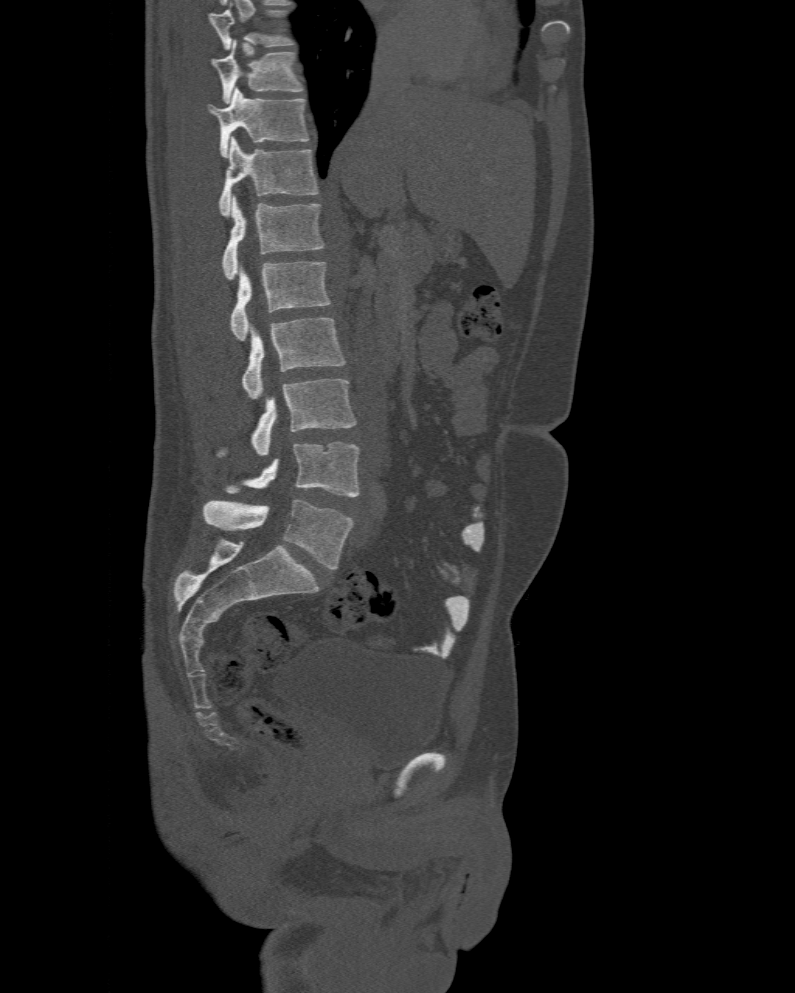
Computed tomography of the spine — sagittal view — image width 477 mm — W/L 1800/400 HU — 795x993 px
Labels in this scan begin with T10 at the top and end with L6 at the bottom.
These labels give the spine a sixth lumbar vertebra, L6, below L5.
<vertebrae><v name="T10" x1="211" y1="40" x2="302" y2="102"/><v name="T11" x1="207" y1="87" x2="310" y2="157"/><v name="T12" x1="217" y1="137" x2="319" y2="217"/><v name="L1" x1="222" y1="195" x2="324" y2="280"/><v name="L2" x1="230" y1="262" x2="331" y2="340"/><v name="L3" x1="242" y1="317" x2="345" y2="399"/><v name="L4" x1="252" y1="378" x2="356" y2="456"/><v name="L5" x1="227" y1="442" x2="359" y2="496"/><v name="L6" x1="203" y1="500" x2="353" y2="569"/></vertebrae>